Computed tomography of the spine; sagittal reformat; 9 vertebrae labeled in this scan; 137 mm across the image
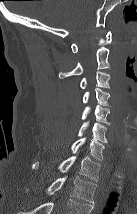

Boxes are (x1, y1, x2, y2) in pixels. The highest labeled vertebra in this scan is C1; the lowest is T2. The labeled vertebrae in this slice are: C1 at (71, 31, 111, 53), C2 at (58, 47, 110, 78), C3 at (80, 71, 111, 89), C4 at (83, 88, 111, 107), C5 at (81, 105, 110, 125), C6 at (78, 121, 107, 143), C7 at (71, 137, 104, 160), T1 at (32, 155, 100, 182), T2 at (46, 176, 96, 203).